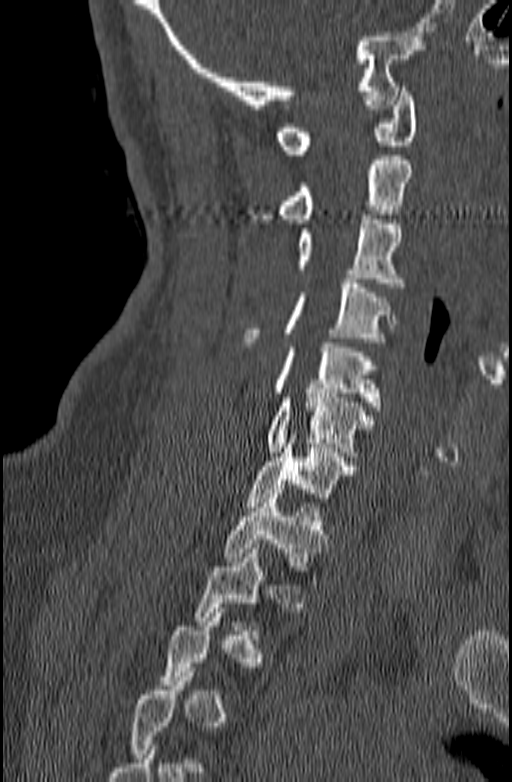 Spine CT; sagittal reformat; the image is 140 mm wide; W/L 1800/400 HU. Each row gives a vertebra's box as x1, y1, x2, y2 in pixels: top-left corner, then bottom-right corner.
A vertebra gets a box only on the slices from the first to the last where its cross-section is at least a third of its largest; on a slice outside that range it gets none.
| vertebra | x1 | y1 | x2 | y2 |
|---|---|---|---|---|
| T1 | 224 | 489 | 326 | 570 |
| C7 | 246 | 434 | 358 | 506 |
| C6 | 267 | 389 | 372 | 461 |
| C5 | 272 | 343 | 382 | 410 |
| C4 | 242 | 279 | 397 | 346 |
| C3 | 297 | 215 | 402 | 287 |
| C2 | 256 | 155 | 413 | 223 |
| C1 | 277 | 87 | 417 | 154 |